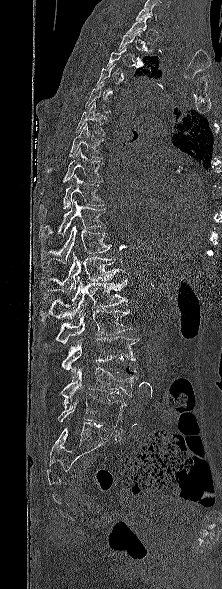

Computed tomography of the spine. image 222 mm wide. sagittal view

Boxes below are [x1, y1, x2, y2] in pixels.
A vertebra gets a box only on the slices from the first to the last where its cross-section is at least a third of its largest; on a slice outside that range it gets none.
{"vertebrae":{"L5":[58,395,126,429],"L4":[61,367,138,409],"L3":[61,336,139,381],"L2":[55,309,134,343],"L1":[41,277,127,320],"T12":[40,253,124,295],"T11":[41,225,111,267],"T10":[39,198,105,240],"T9":[39,174,105,218],"T8":[62,148,102,182],"T7":[46,123,103,176],"T6":[76,102,107,135]}}